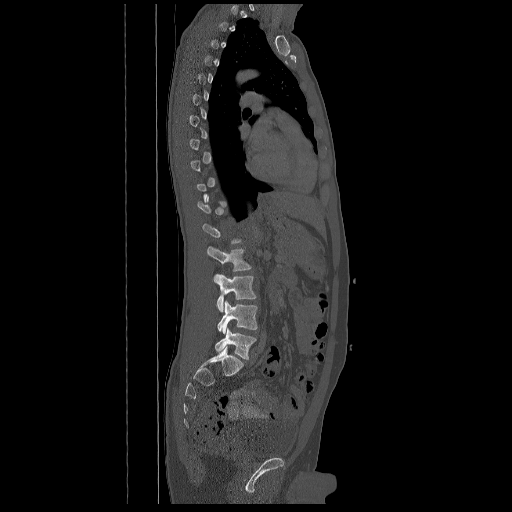
CT. image 672 mm wide. sagittal view. bone-window reconstruction. 512x512 px
A vertebra gets a box only on the slices from the first to the last where its cross-section is at least a third of its largest; on a slice outside that range it gets none.
<vertebrae><v name="L2" x1="207" y1="246" x2="251" y2="284"/><v name="L3" x1="217" y1="274" x2="256" y2="311"/><v name="L4" x1="217" y1="300" x2="257" y2="333"/><v name="L5" x1="215" y1="328" x2="256" y2="359"/></vertebrae>